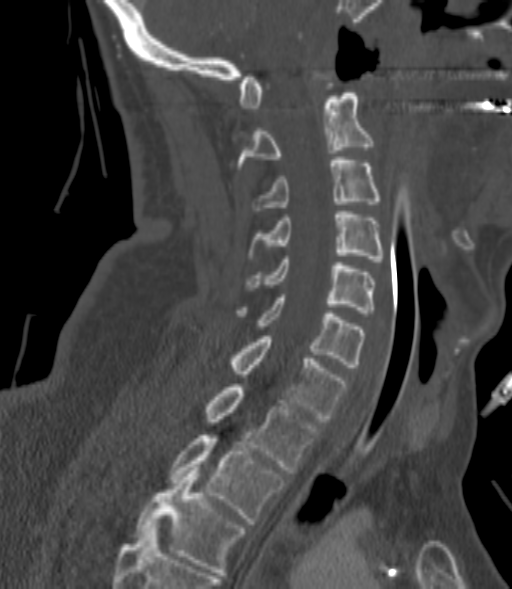
Computed tomography of the spine; sagittal view; bone-window reconstruction; the image is 200 mm wide
Box values are [left, top, right, bottom] in pixels.
Not every vertebra on this slice has a box: a vertebra is boxed only from the first to the last slice where its cross-section is at least a third of its largest, and this slice is outside that range for at least one of them.
{"vertebrae":{"T3":[136,467,243,575],"T2":[170,435,284,524],"T1":[206,384,317,473],"C7":[231,336,348,421],"C6":[239,294,363,367],"C5":[249,259,374,313],"C4":[249,211,384,261],"C3":[253,160,379,210],"C2":[236,93,374,172]}}